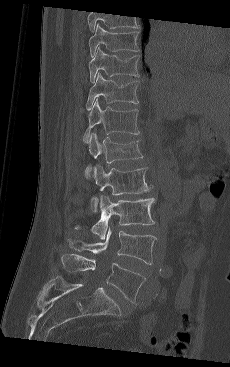

Computed tomography of the spine; sagittal reformat; bone-window reconstruction; 230x367 px; the image is 230 mm wide

Bounding boxes as [x1, y1, x2, y2] in pixel coordinates. In this scan, the topmost labeled vertebra is T9 and the lowest is L5. The labeled vertebrae in this slice are: T9 at [88, 23, 140, 57], T10 at [88, 48, 140, 82], T11 at [86, 72, 138, 110], T12 at [83, 99, 139, 142], L1 at [85, 132, 143, 178], L2 at [90, 164, 150, 212], L3 at [74, 194, 155, 239], L4 at [67, 227, 156, 264], L5 at [61, 254, 145, 303].